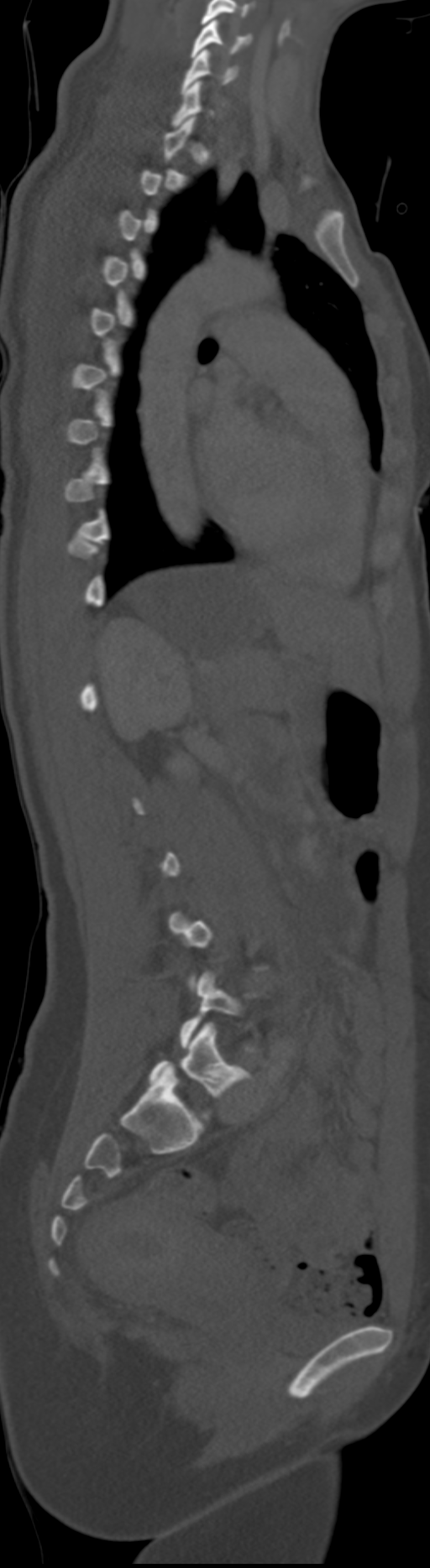

CT; sagittal reformat; W/L 1800/400 HU
Each row gives a vertebra's box as x1, y1, x2, y2 in pixels: top-left corner, then bottom-right corner.
Each vertebra is boxed only on the slices from the first to the last where its cross-section reaches a third of its largest, so a slice outside that range leaves it unboxed.
The labels name a sixth lumbar vertebra for this spine: L6, after L5.
| vertebra | x1 | y1 | x2 | y2 |
|---|---|---|---|---|
| C5 | 191 | 20 | 252 | 57 |
| C6 | 181 | 49 | 238 | 94 |
| L6 | 149 | 1023 | 246 | 1116 |